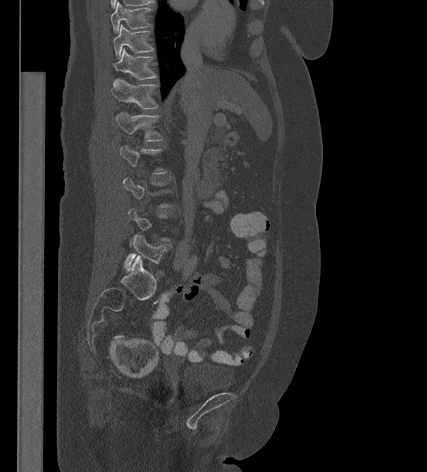
CT, spine. sagittal view. 427x472 px. Bounding boxes as [x1, y1, x2, y2] in pixel coordinates.
A vertebra gets a box only on the slices from the first to the last where its cross-section is at least a third of its largest; on a slice outside that range it gets none.
L5: [124, 235, 167, 270]
L1: [115, 113, 162, 141]
T12: [111, 79, 158, 109]
T11: [112, 49, 156, 79]
T10: [112, 25, 153, 58]
T9: [110, 2, 150, 32]